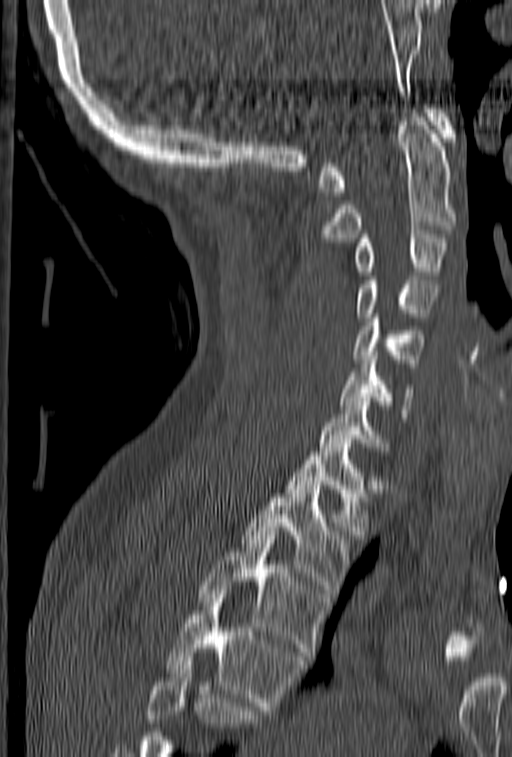

Computed tomography of the spine; sagittal view; the image is 153 mm wide; 512x757 px
A vertebra cut off by the bottom edge of the scan is not labeled and has no box.
<vertebrae><v name="T4" x1="165" y1="590" x2="305" y2="710"/><v name="T3" x1="198" y1="531" x2="328" y2="660"/><v name="T2" x1="242" y1="485" x2="351" y2="597"/><v name="T1" x1="285" y1="443" x2="370" y2="534"/><v name="C7" x1="319" y1="393" x2="388" y2="451"/><v name="C6" x1="339" y1="356" x2="414" y2="417"/><v name="C5" x1="352" y1="310" x2="424" y2="367"/><v name="C4" x1="356" y1="264" x2="435" y2="317"/><v name="C3" x1="355" y1="230" x2="449" y2="275"/><v name="C2" x1="315" y1="109" x2="456" y2="242"/><v name="C1" x1="319" y1="105" x2="456" y2="196"/></vertebrae>